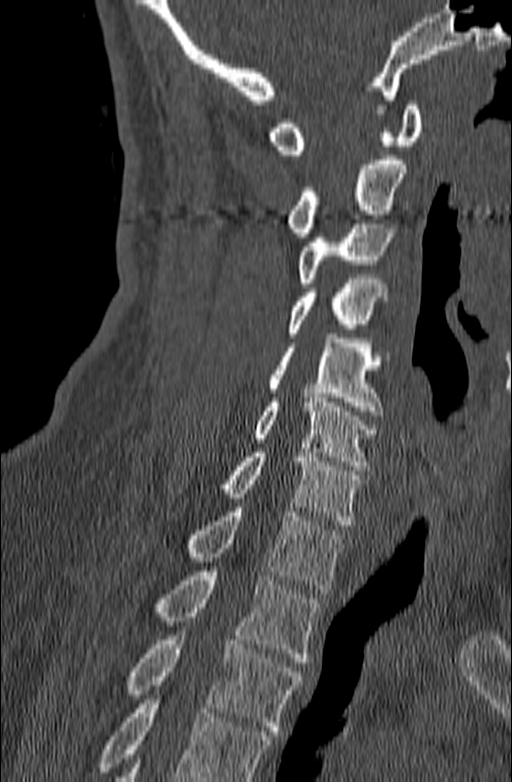 Computed tomography of the spine. sagittal reformat. 512x782 px

Bounding boxes as [x1, y1, x2, y2] in pixel coordinates.
No box is given to a vertebra that the bottom edge of the scan cuts off.
C1: [268, 101, 422, 154]
C2: [287, 155, 406, 237]
C3: [298, 219, 394, 287]
C4: [287, 274, 386, 337]
C5: [268, 334, 383, 415]
C6: [254, 393, 377, 470]
C7: [219, 448, 362, 525]
T1: [188, 507, 346, 593]
T2: [155, 571, 319, 662]
T3: [128, 631, 303, 735]